CT spine — the image spans 140 mm across — Sagittal slice 170/512 — Bone window (WL 400, WW 1800) — 512x827 px
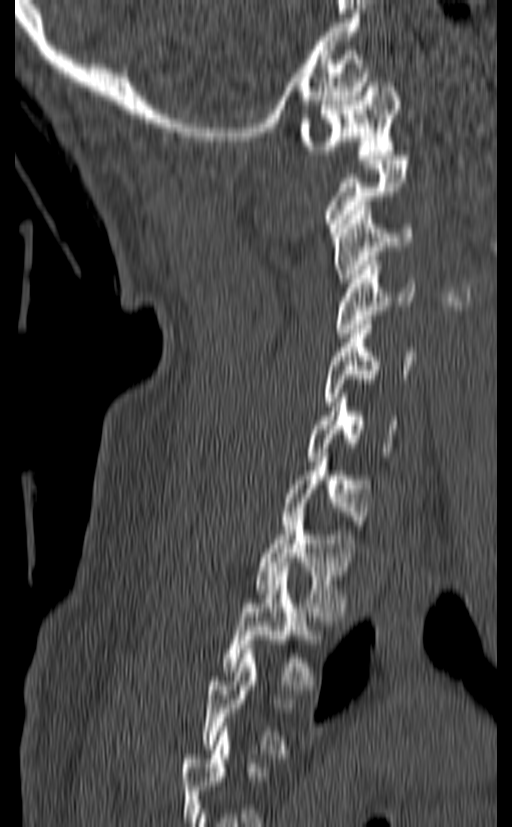
A vertebra gets a box only on the slices from the first to the last where its cross-section is at least a third of its largest; on a slice outside that range it gets none.
<vertebrae><v name="C1" x1="300" y1="78" x2="400" y2="154"/><v name="C2" x1="327" y1="155" x2="409" y2="237"/><v name="C3" x1="332" y1="206" x2="413" y2="287"/><v name="C4" x1="334" y1="261" x2="415" y2="337"/><v name="C5" x1="323" y1="320" x2="415" y2="406"/><v name="C6" x1="307" y1="393" x2="399" y2="461"/><v name="C7" x1="283" y1="453" x2="370" y2="529"/><v name="T1" x1="255" y1="512" x2="354" y2="616"/><v name="T2" x1="222" y1="571" x2="321" y2="689"/></vertebrae>